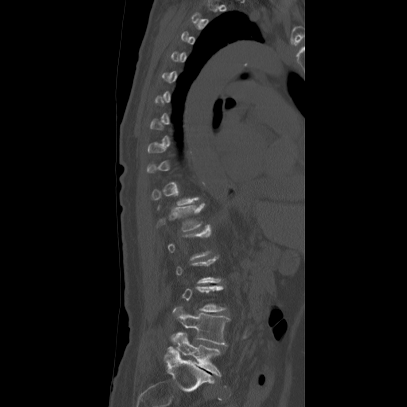 CT spine — sagittal reformat. Boxes: x1 y1 x2 y2 (pixel coords, space-separated).
A vertebra is boxed only from the first to the last slice where its cross-section is at least a third of its largest; slices outside that range leave it without a box.
T12: 156 203 205 231
L4: 171 307 229 345
L5: 164 333 221 377